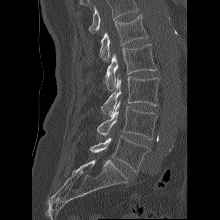
CT spine; sagittal view; 220 mm wide. Each box given as x1,y1,x2,y2. Where the top of the scan cuts through a vertebra, that vertebra gets no label or box. The labeled vertebrae in this slice are: L5 at x1=90, y1=135, x2=151, y2=171, L4 at x1=97, y1=101, x2=157, y2=139, L3 at x1=101, y1=74, x2=159, y2=116, L2 at x1=103, y1=44, x2=157, y2=90, L1 at x1=99, y1=15, x2=147, y2=61.